CT · sagittal reformat · 512x550 px · 9 vertebrae labeled in this scan
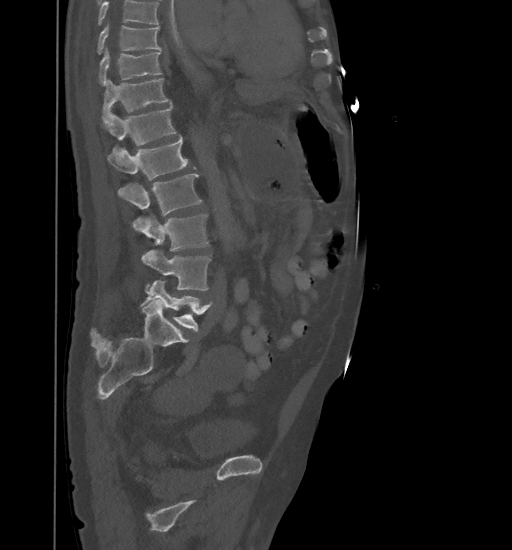
Boxes: x1 y1 x2 y2 (pixel coords, space-separated).
No box is given to a vertebra that the top edge of the scan cuts off.
T9: 98 23 160 54
T10: 99 47 161 85
T11: 102 78 170 123
T12: 102 105 175 150
L1: 107 136 195 180
L2: 118 173 202 216
L3: 133 215 208 250
L4: 141 250 211 290
L5: 142 280 212 332